CT, spine; sagittal plane, index 306; 512x789 px; scan covers 14 annotated vertebrae
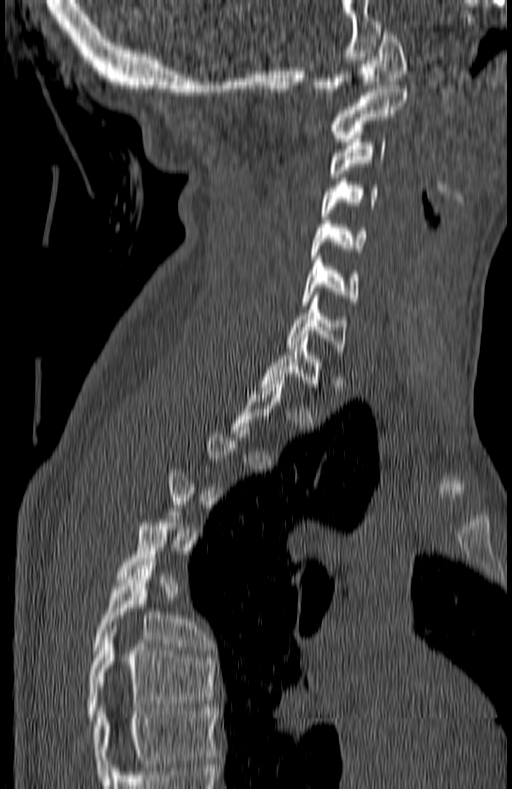
Each box is [x1, y1, x2, y2] in pixels: top-left corner, then bottom-right corner.
Not every vertebra on this slice has a box: a vertebra is boxed only from the first to the last slice where its cross-section is at least a third of its largest, and this slice is outside that range for at least one of them.
The highest labeled vertebra in this scan is C1; the lowest is T7.
{"vertebrae":{"C1":[315,28,407,91],"C2":[331,85,407,141],"C3":[329,135,385,180],"C4":[322,181,378,219],"C5":[311,220,367,259],"C6":[302,256,358,305],"C7":[285,299,347,351],"T1":[260,334,321,387],"T6":[92,558,206,653],"T7":[86,629,215,721]}}